CT, spine. the image is 200 mm wide. sagittal view. W/L 1800/400 HU. 512x589 px
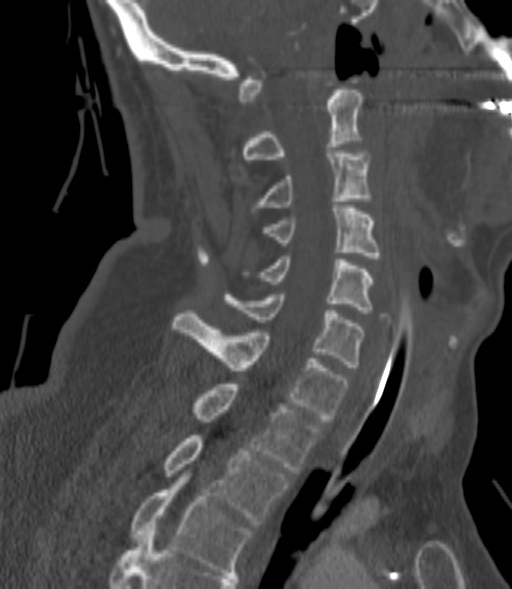
Bounding boxes as [x1, y1, x2, y2] in pixel coordinates. Each vertebra is boxed only on the slices from the first to the last where its cross-section reaches a third of its largest, so a slice outside that range leaves it unboxed. Vertebrae labeled: C2 at [244, 90, 363, 159], C3 at [252, 150, 371, 210], C4 at [262, 208, 381, 261], C5 at [243, 256, 374, 313], C6 at [224, 294, 363, 367], C7 at [172, 310, 348, 421], T1 at [193, 384, 320, 473], T2 at [165, 435, 289, 524], T3 at [131, 474, 251, 575].